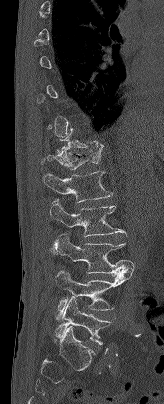 CT, spine · image 164 mm wide · sagittal view · bone-window reconstruction · 164x404 px
Each box is [x1, y1, x2, y2] in pixels: top-left corner, then bottom-right corner.
A vertebra gets a box only on the slices from the first to the last where its cross-section is at least a third of its largest; on a slice outside that range it gets none.
{"vertebrae":{"T12":[41,145,102,169],"L1":[43,171,112,202],"L2":[49,200,126,236],"L3":[52,234,134,275],"L4":[56,268,133,312],"L5":[55,297,111,344]}}